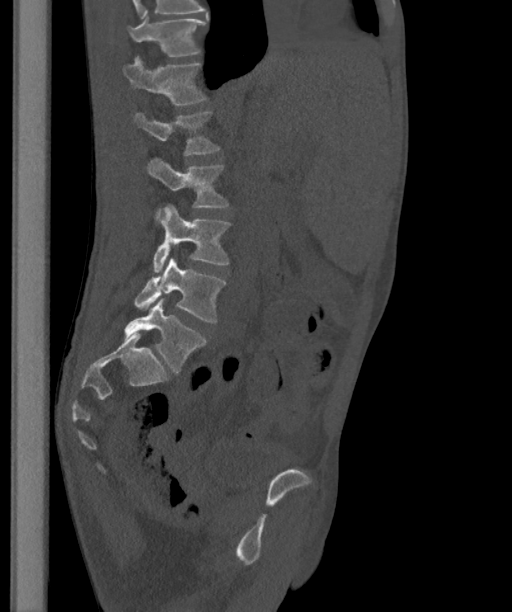
Spine CT; sagittal view; the image is 363 mm wide
Each box given as x1,y1,x2,y2.
The highest labeled vertebra in this scan is T12; the lowest is L6.
In these labels the spine has an L6, a sixth lumbar vertebra below L5.
T12: x1=127, y1=17, x2=206, y2=56
L1: x1=122, y1=56, x2=208, y2=104
L2: x1=134, y1=112, x2=220, y2=155
L3: x1=148, y1=157, x2=229, y2=219
L4: x1=152, y1=204, x2=230, y2=272
L5: x1=134, y1=258, x2=226, y2=321
L6: x1=124, y1=298, x2=206, y2=372